CT, spine; the image spans 187 mm across; sagittal view; Bone window (WL 400, WW 1800); 512x609 px
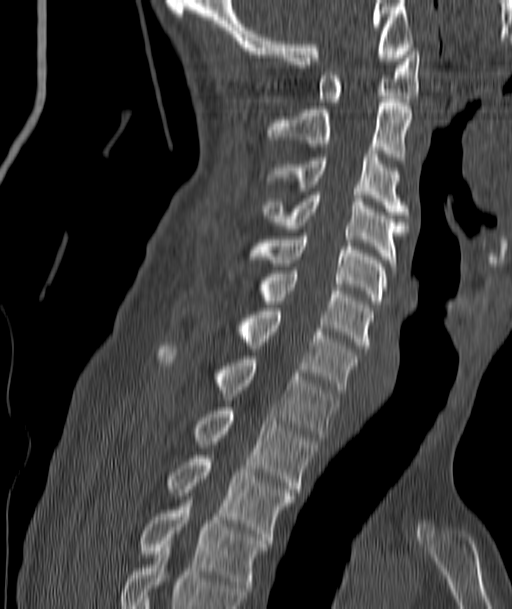 Bounding boxes as [x1, y1, x2, y2] in pixel coordinates.
C1: [318, 48, 419, 102]
C2: [266, 99, 412, 163]
C3: [269, 151, 408, 218]
C4: [264, 192, 408, 266]
C5: [250, 233, 386, 304]
C6: [261, 270, 372, 348]
C7: [239, 308, 359, 393]
T1: [160, 346, 339, 437]
T2: [195, 407, 317, 492]
T3: [168, 455, 293, 540]
T4: [141, 500, 268, 598]